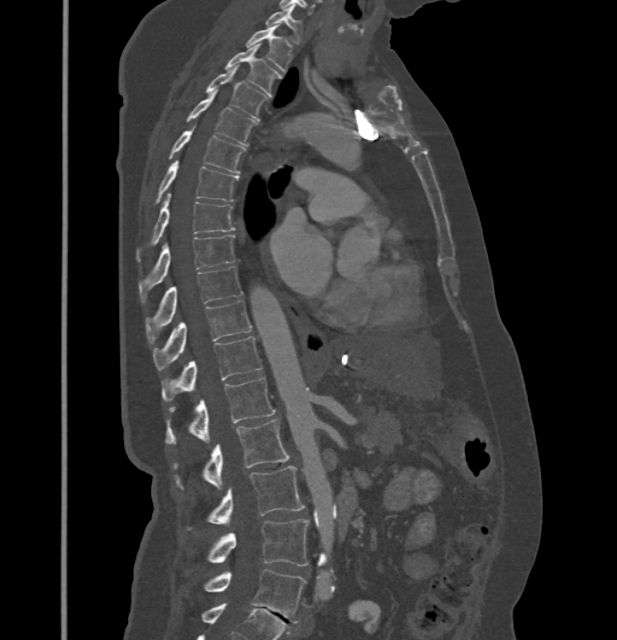

CT — sagittal view
Each row gives a vertebra's box as x1, y1, x2, y2 in pixels: top-left corner, then bottom-right corner.
These labels give this spine no T12: after T11 the next vertebra is L1.
| vertebra | x1 | y1 | x2 | y2 |
|---|---|---|---|---|
| C7 | 265 | 7 | 302 | 42 |
| T1 | 246 | 25 | 292 | 71 |
| T2 | 225 | 45 | 282 | 92 |
| T3 | 206 | 66 | 268 | 119 |
| T4 | 187 | 93 | 255 | 145 |
| T5 | 169 | 126 | 245 | 172 |
| T6 | 155 | 160 | 239 | 202 |
| T7 | 137 | 193 | 234 | 261 |
| T8 | 139 | 235 | 234 | 302 |
| T9 | 146 | 266 | 241 | 339 |
| T10 | 153 | 300 | 252 | 369 |
| T11 | 162 | 336 | 262 | 401 |
| L1 | 165 | 377 | 275 | 444 |
| L2 | 174 | 419 | 288 | 489 |
| L3 | 209 | 466 | 305 | 525 |
| L4 | 209 | 519 | 308 | 566 |
| L5 | 204 | 569 | 305 | 622 |